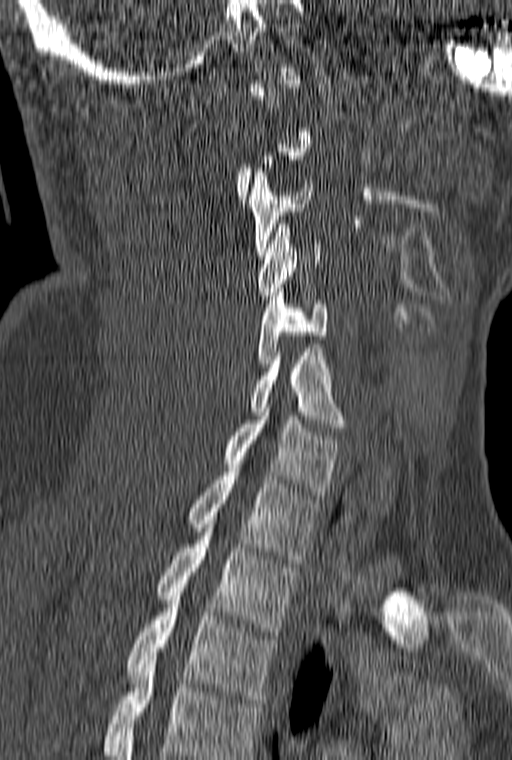 Computed tomography of the spine · sagittal view
Boxes are given in columns x1, y1, x2, y2, the pixel coordinates of their top-left and bottom-right corners.
A vertebra is boxed only from the first to the last slice where its cross-section is at least a third of its largest; slices outside that range leave it without a box.
The highest labeled vertebra in this scan is C1; the lowest is T3.
| vertebra | x1 | y1 | x2 | y2 |
|---|---|---|---|---|
| C3 | 248 | 168 | 312 | 255 |
| C4 | 257 | 220 | 320 | 299 |
| C5 | 257 | 288 | 327 | 367 |
| C6 | 251 | 348 | 346 | 431 |
| C7 | 222 | 408 | 339 | 495 |
| T1 | 187 | 464 | 320 | 563 |
| T2 | 155 | 520 | 298 | 635 |
| T3 | 126 | 596 | 275 | 703 |